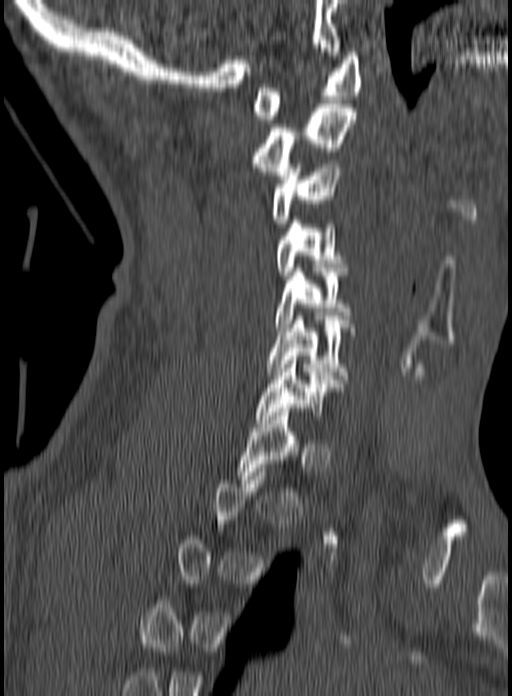 Spine CT — sagittal view — W/L 1800/400 HU — 160 mm wide
Each box is [x1, y1, x2, y2] in pixels: top-left corner, then bottom-right corner.
Each vertebra is boxed only on the slices from the first to the last where its cross-section reaches a third of its largest, so a slice outside that range leaves it unboxed.
{"vertebrae":{"T1":[235,408,299,479],"C7":[256,360,333,423],"C6":[266,316,355,383],"C5":[276,272,352,331],"C4":[276,220,346,279],"C3":[270,160,343,223],"C2":[251,104,355,179],"C1":[253,52,362,119]}}